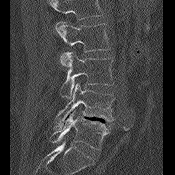

CT spine. the image spans 175 mm across. sagittal view. bone window
No box is given to a vertebra that the top edge of the scan cuts off.
<vertebrae><v name="L2" x1="55" y1="22" x2="110" y2="64"/><v name="L3" x1="60" y1="52" x2="113" y2="98"/><v name="L4" x1="53" y1="83" x2="114" y2="129"/><v name="L5" x1="50" y1="111" x2="109" y2="150"/></vertebrae>